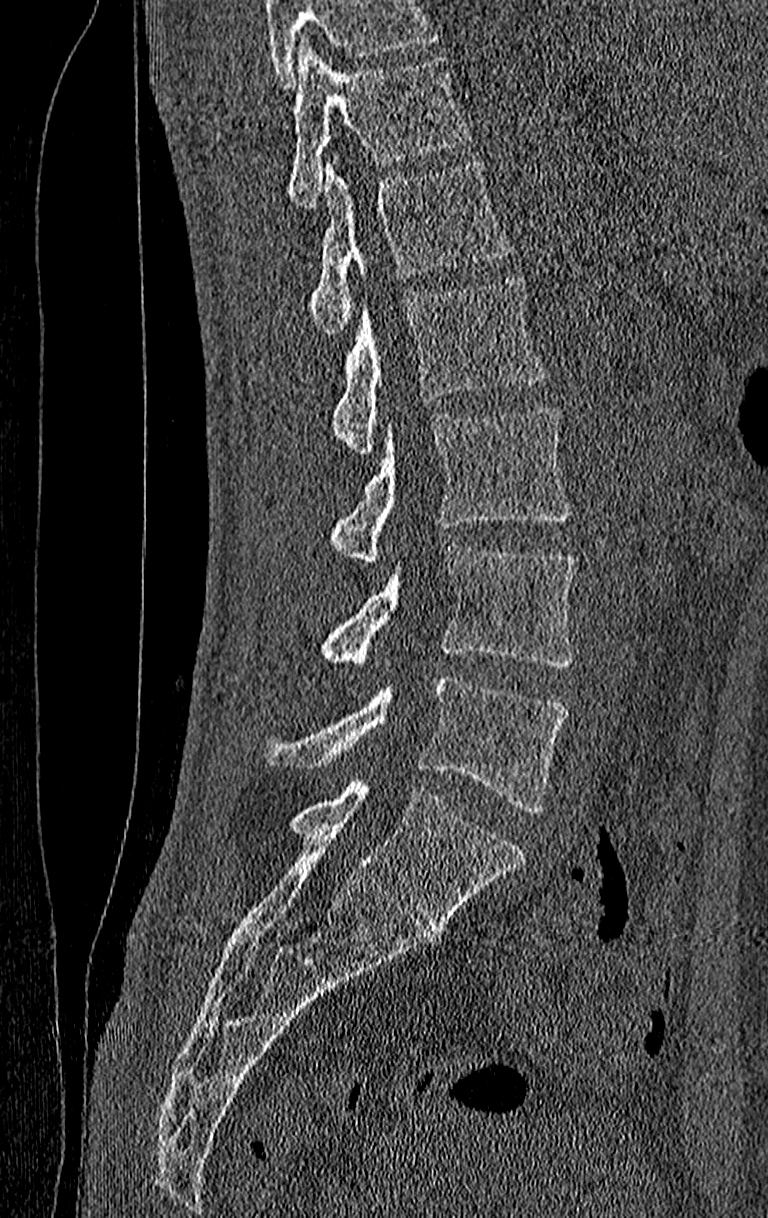 CT spine; sagittal reformat; image 210 mm wide
Box values are [left, top, right, bottom] in pixels.
No box is given to a vertebra that the top edge of the scan cuts off.
The highest labeled vertebra in this scan is T11; the lowest is L4.
{"vertebrae":{"L4":[258,678,568,812],"L3":[317,546,575,669],"L2":[328,406,572,563],"L1":[331,275,546,453],"T12":[310,161,513,333],"T11":[288,41,473,208]}}